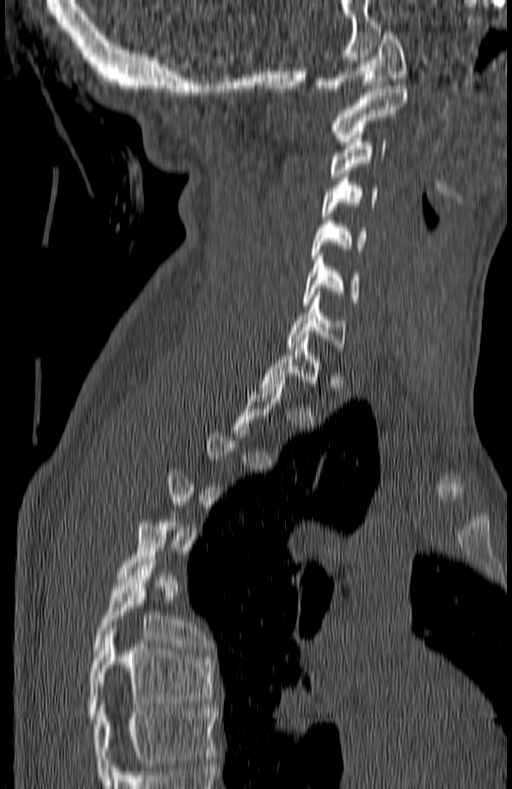

CT spine. sagittal view. 180 mm image width
Boxes below are [x1, y1, x2, y2] in pixels.
Not every vertebra on this slice has a box: a vertebra is boxed only from the first to the last slice where its cross-section is at least a third of its largest, and this slice is outside that range for at least one of them.
This scan's labels start at C1 at the top and end at T7 at the bottom.
{"vertebrae":{"C1":[316,28,407,91],"C2":[331,85,407,141],"C3":[331,135,385,180],"C4":[322,181,378,219],"C5":[311,220,367,259],"C6":[302,256,358,305],"C7":[285,299,347,351],"T1":[260,334,321,387],"T6":[92,558,205,653],"T7":[86,629,214,721]}}